Spine CT; sagittal plane, index 172; 350x637 px
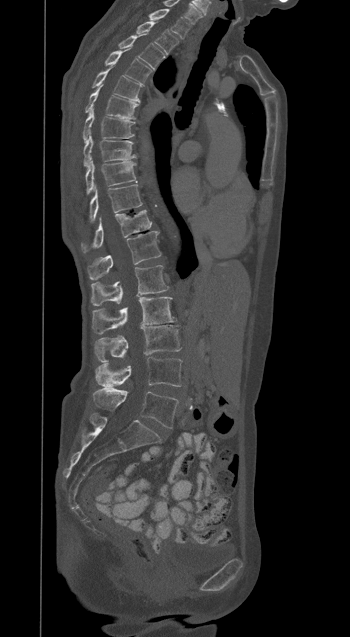
Bounding boxes as [x1, y1, x2, y2] in pixel coordinates. 17 vertebrae labeled — T1 at [148, 9, 190, 38]; T2 at [136, 21, 178, 54]; T3 at [119, 35, 164, 69]; T4 at [105, 51, 151, 84]; T5 at [92, 68, 144, 102]; T6 at [85, 87, 137, 118]; T7 at [83, 110, 134, 141]; T8 at [83, 133, 135, 166]; T9 at [85, 158, 135, 193]; T10 at [89, 185, 142, 221]; T11 at [81, 210, 151, 253]; T12 at [87, 231, 161, 279]; L1 at [91, 265, 168, 305]; L2 at [92, 297, 175, 334]; L3 at [94, 325, 180, 362]; L4 at [95, 357, 181, 387]; L5 at [92, 388, 178, 428].